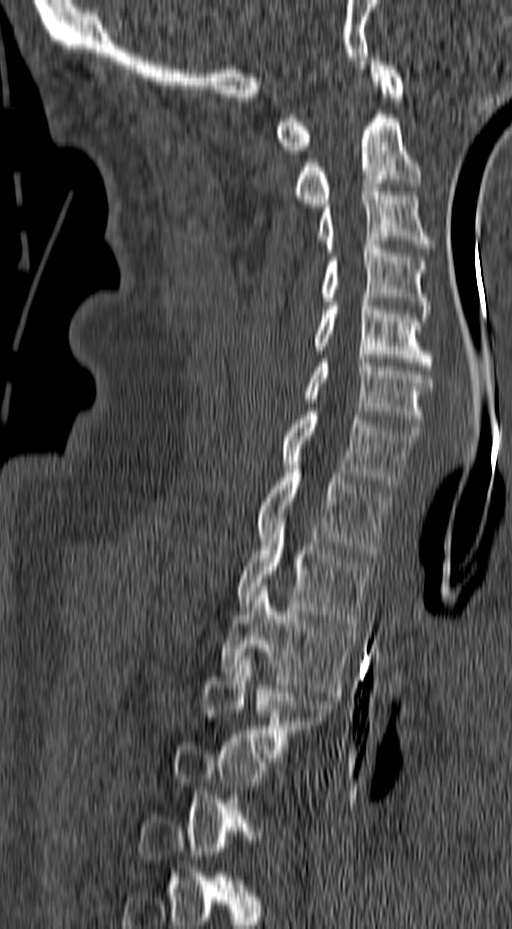
CT spine · sagittal view · W/L 1800/400 HU · 512x929 px
Each box given as x1,y1,x2,y2. A vertebra gets a box only on the slices from the first to the last where its cross-section is at least a third of its largest; on a slice outside that range it gets none. The labeled vertebrae in this slice are: T4 at x1=202, y1=656, x2=336, y2=765, T3 at x1=220, y1=583, x2=356, y2=696, T2 at x1=236, y1=514, x2=372, y2=627, T1 at x1=256, y1=461, x2=391, y2=557, C7 at x1=282, y1=412, x2=421, y2=488, C6 at x1=304, y1=359, x2=434, y2=431, C5 at x1=311, y1=294, x2=434, y2=370, C4 at x1=317, y1=241, x2=431, y2=317, C3 at x1=314, y1=188, x2=434, y2=252, C2 at x1=291, y1=110, x2=421, y2=207, C1 at x1=275, y1=57, x2=403, y2=154.